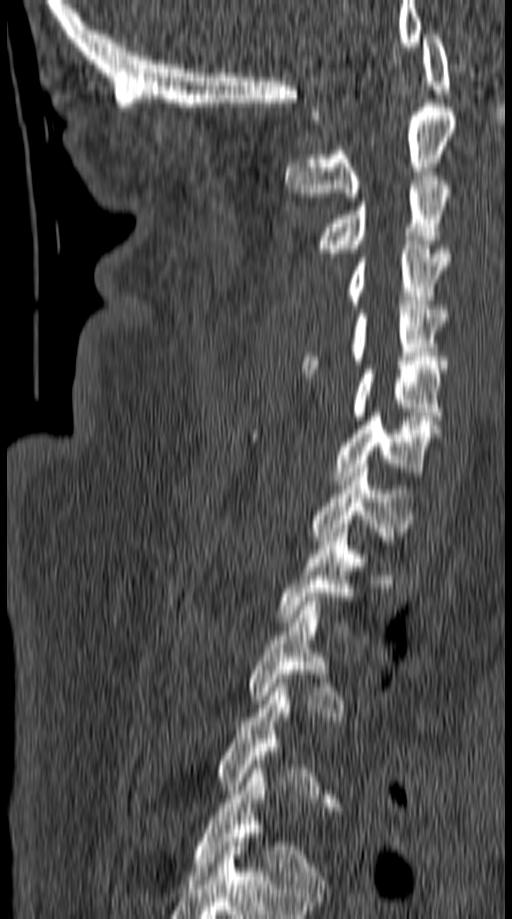
CT · sagittal reformat
Boxes: x1:y1:x2:y2 in pixels.
Not every vertebra on this slice has a box: a vertebra is boxed only from the first to the last slice where its cross-section is at least a third of its largest, and this slice is outside that range for at least one of them.
C1: 312:30:450:119
C2: 286:103:457:201
C3: 317:172:451:257
C4: 348:241:448:308
C5: 302:305:448:373
C6: 351:365:445:420
C7: 333:412:442:484
T1: 310:464:414:545
T2: 280:528:363:622
T3: 249:597:344:716
T5: 194:765:323:892